Spine computed tomography — sagittal plane, index 67 — bone-window reconstruction — scan covers 15 annotated vertebrae
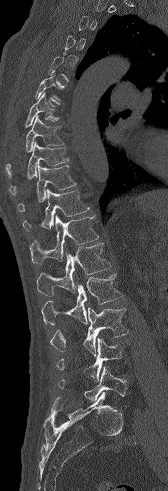 Bounding boxes as [x1, y1, x2, y2] in pixel coordinates.
A vertebra is boxed only from the first to the last slice where its cross-section is at least a third of its largest; slices outside that range leave it without a box.
Vertebra bounding boxes:
- T7: [24, 92, 58, 127]
- T8: [5, 114, 64, 177]
- T9: [9, 141, 68, 195]
- T10: [17, 164, 76, 211]
- T11: [22, 189, 89, 230]
- T12: [30, 215, 98, 264]
- L1: [37, 243, 111, 295]
- L2: [41, 274, 122, 324]
- L3: [50, 307, 128, 356]
- L4: [57, 337, 127, 381]
- L5: [58, 366, 127, 401]